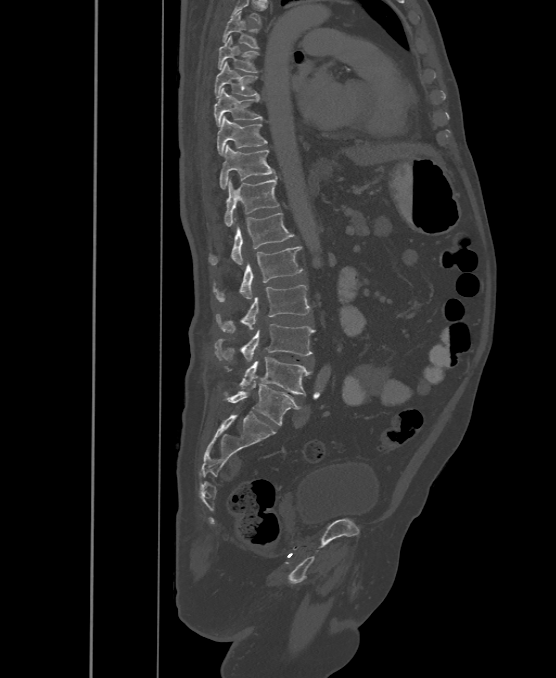
Computed tomography of the spine. sagittal view

Labels in this scan begin with T6 at the top and end with L6 at the bottom.
The labels name a sixth lumbar vertebra for this spine: L6, after L5.
<vertebrae><v name="L6" x1="226" y1="381" x2="300" y2="425"/><v name="L5" x1="240" y1="357" x2="312" y2="395"/><v name="L4" x1="215" y1="324" x2="315" y2="362"/><v name="L3" x1="216" y1="285" x2="309" y2="332"/><v name="L2" x1="214" y1="246" x2="303" y2="302"/><v name="L1" x1="208" y1="213" x2="293" y2="265"/><v name="T12" x1="225" y1="176" x2="279" y2="226"/><v name="T11" x1="219" y1="145" x2="275" y2="189"/><v name="T10" x1="217" y1="116" x2="267" y2="155"/><v name="T9" x1="214" y1="88" x2="263" y2="126"/><v name="T8" x1="215" y1="61" x2="259" y2="98"/><v name="T7" x1="217" y1="36" x2="258" y2="72"/><v name="T6" x1="222" y1="12" x2="258" y2="48"/></vertebrae>